Spine computed tomography — 317 mm image width — sagittal reformat — bone window — 18 vertebrae labeled in this scan
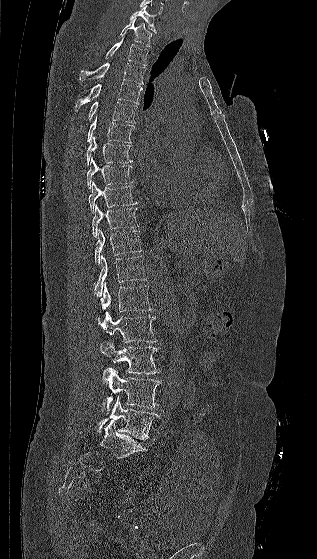

Boxes below are [x1, y1, x2, y2] in pixels.
{"vertebrae":{"C7":[129,6,156,32],"T1":[118,19,152,47],"T2":[105,37,148,65],"T3":[79,62,145,84],"T4":[75,82,142,110],"T5":[87,101,136,123],"T6":[87,115,134,143],"T7":[86,136,132,165],"T8":[87,157,132,188],"T9":[88,181,138,213],"T10":[92,204,139,237],"T11":[95,229,141,264],"T12":[94,255,147,296],"L1":[100,282,153,312],"L2":[97,312,157,342],"L3":[99,341,160,374],"L4":[101,368,161,414],"L5":[98,396,159,440]}}